Spine computed tomography. Sagittal slice 314/685. Bone window (WL 400, WW 1800). 512x963 px
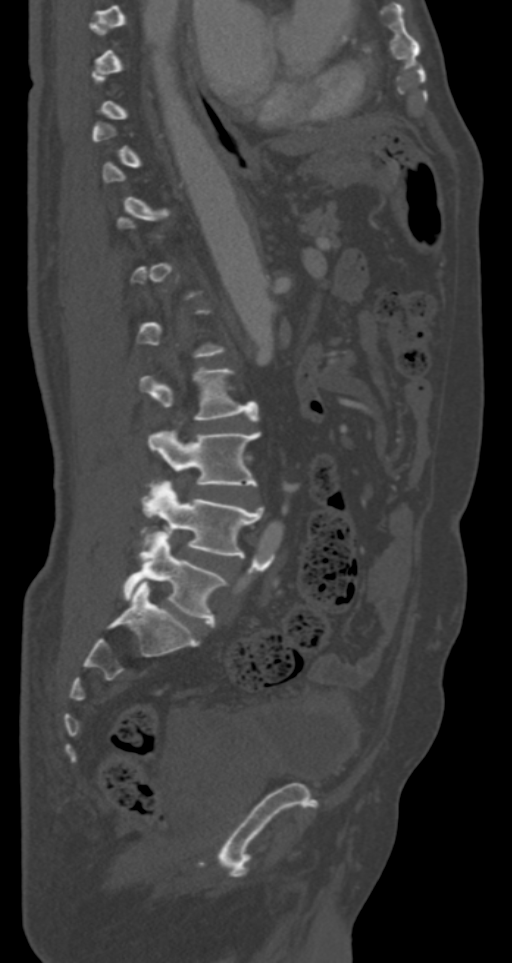

Box values are [left, top, right, bottom] in pixels.
A vertebra is boxed only from the first to the last slice where its cross-section is at least a third of its largest; slices outside that range leave it without a box.
{"vertebrae":{"L2":[141,368,257,420],"L3":[148,431,261,492],"L4":[142,481,263,557],"L5":[123,533,225,627]}}